Spine CT. sagittal reformat. Bone window (WL 400, WW 1800). 435 mm across the image. 512x548 px. 8 vertebrae labeled in this scan
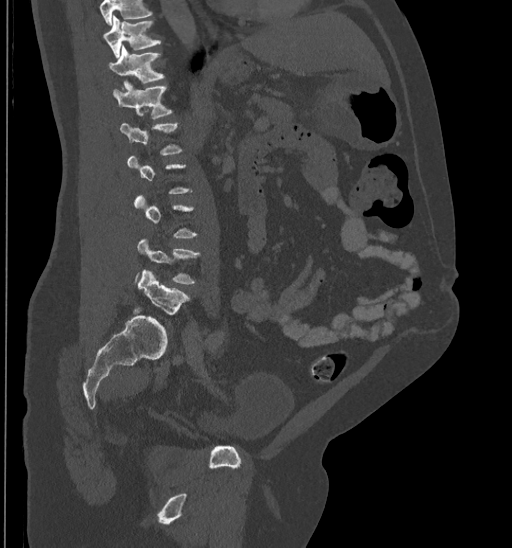
Not every vertebra on this slice has a box: a vertebra is boxed only from the first to the last slice where its cross-section is at least a third of its largest, and this slice is outside that range for at least one of them.
Where the top of the scan cuts through a vertebra, that vertebra gets no label or box.
<vertebrae><v name="T10" x1="102" y1="16" x2="160" y2="57"/><v name="T11" x1="108" y1="46" x2="164" y2="83"/><v name="T12" x1="113" y1="79" x2="172" y2="119"/><v name="L5" x1="138" y1="270" x2="190" y2="315"/></vertebrae>